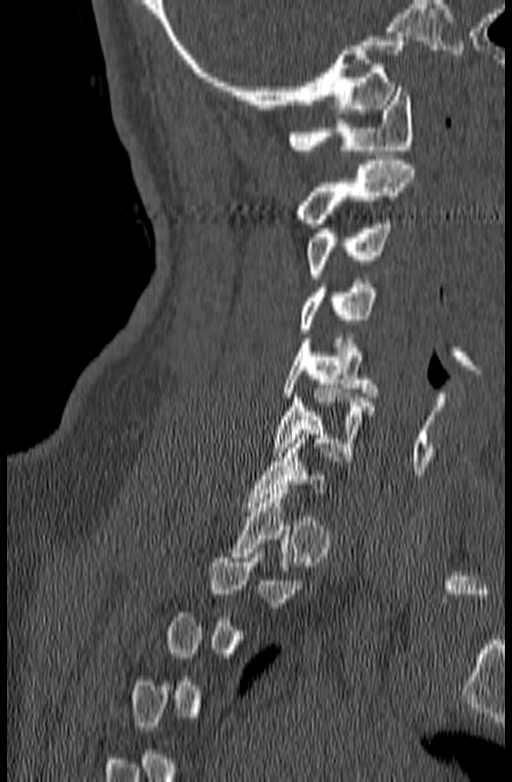
CT, spine · sagittal reformat · 140 mm wide · 512x782 px
Each row gives a vertebra's box as x1, y1, x2, y2 in pixels: top-left corner, then bottom-right corner.
A vertebra gets a box only on the slices from the first to the last where its cross-section is at least a third of its largest; on a slice outside that range it gets none.
| vertebra | x1 | y1 | x2 | y2 |
|---|---|---|---|---|
| C1 | 287 | 87 | 414 | 154 |
| C2 | 294 | 160 | 416 | 223 |
| C3 | 305 | 219 | 390 | 278 |
| C4 | 299 | 279 | 377 | 333 |
| C5 | 282 | 338 | 377 | 397 |
| C6 | 272 | 389 | 374 | 456 |